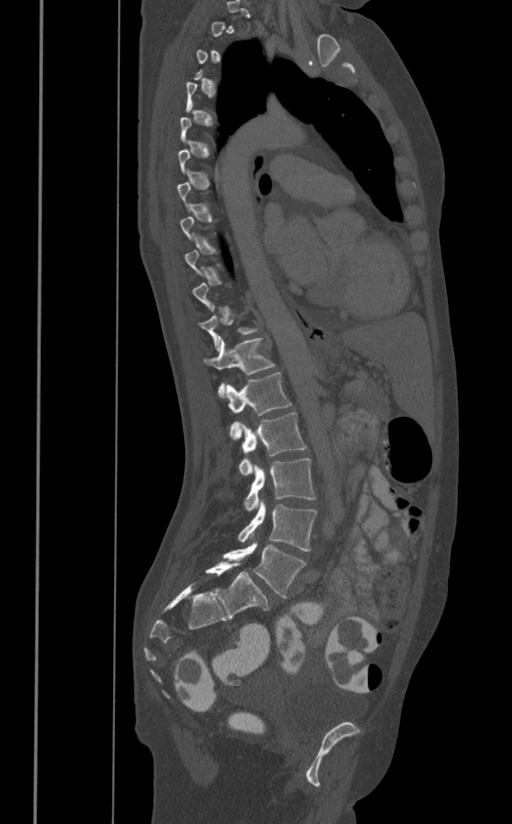

Computed tomography of the spine; sagittal view; image 391 mm wide

Boxes: x1 y1 x2 y2 (pixel coords, space-separated). Not every vertebra on this slice has a box: a vertebra is boxed only from the first to the last slice where its cross-section is at least a third of its largest, and this slice is outside that range for at least one of them. The labeled vertebrae in this slice are: L5 at 223 541 305 598, L4 at 238 500 317 551, L3 at 244 458 316 510, L2 at 238 412 307 476, L1 at 226 372 292 439, T12 at 204 338 275 397.